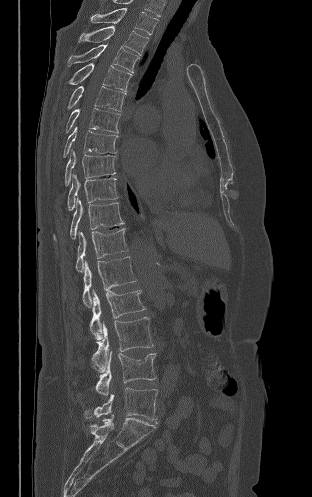
Computed tomography of the spine — sagittal view — bone-window reconstruction
Coordinates as <box>x1,y1,x2,y2</box>.
Vertebra bounding boxes:
- T2: <box>91,8,158,34</box>
- T3: <box>79,26,148,55</box>
- T4: <box>68,44,139,72</box>
- T5: <box>68,63,132,92</box>
- T6: <box>67,86,126,111</box>
- T7: <box>66,108,120,133</box>
- T8: <box>63,126,117,157</box>
- T9: <box>65,149,115,185</box>
- T10: <box>67,173,118,210</box>
- T11: <box>53,197,124,240</box>
- T12: <box>75,228,128,272</box>
- L1: <box>82,256,136,307</box>
- L2: <box>90,289,145,340</box>
- L3: <box>92,317,153,372</box>
- L4: <box>95,351,155,395</box>
- L5: <box>84,387,157,423</box>